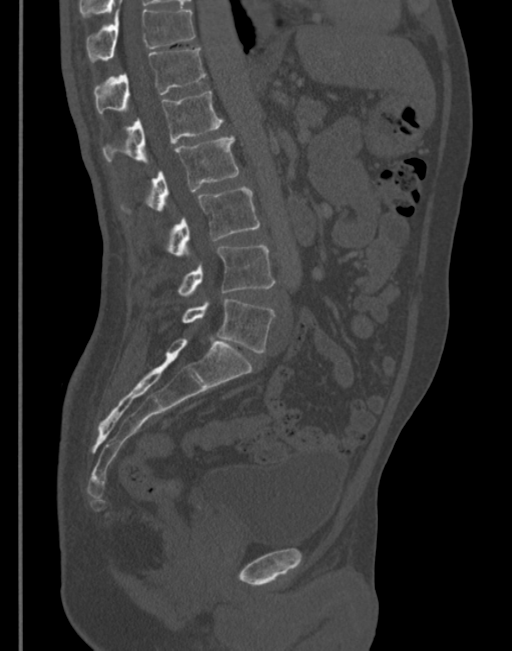 Computed tomography of the spine. sagittal reformat. bone-window reconstruction

Boxes: x1 y1 x2 y2 (pixel coords, space-separated). Vertebrae labeled: T11 at 86 8 195 62, T12 at 93 46 205 113, L1 at 102 91 223 163, L2 at 147 135 239 212, L3 at 167 186 260 257, L4 at 178 245 275 297, L5 at 182 299 275 353.